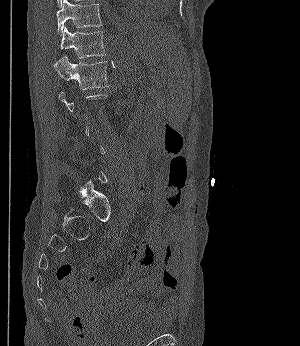

Spine CT; 300 mm image width; sagittal view; 300x346 px
Each box is [x1, y1, x2, y2] in pixels: top-left corner, then bottom-right corner.
A vertebra gets a box only on the slices from the first to the last where its cross-section is at least a third of its largest; on a slice outside that range it gets none.
{"vertebrae":{"L1":[54,56,108,89],"T12":[60,26,105,58],"T11":[52,0,101,36]}}